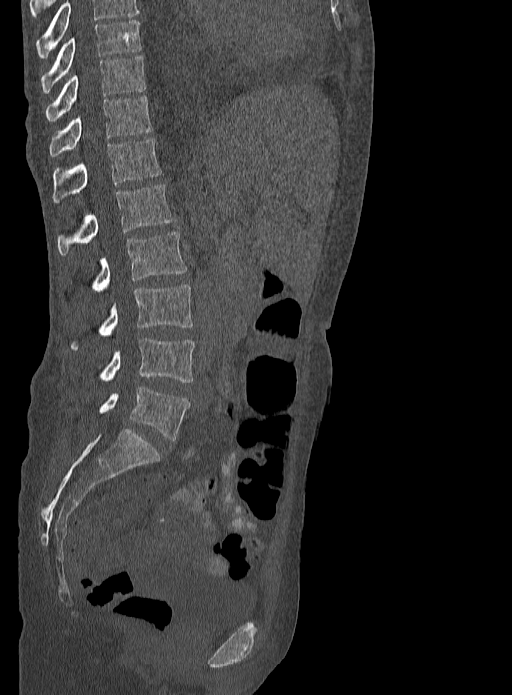
CT spine. the image spans 333 mm across. sagittal reformat. 512x695 px
Box edges are left/top/right/bottom in pixels.
This scan's labels start at T9 at the top and end at L5 at the bottom.
Vertebra bounding boxes:
- T9: left=41, top=20, right=142, bottom=93
- T10: left=46, top=55, right=145, bottom=122
- T11: left=49, top=95, right=152, bottom=156
- T12: left=54, top=138, right=160, bottom=205
- L1: left=57, top=185, right=174, bottom=256
- L2: left=89, top=232, right=186, bottom=291
- L3: left=69, top=284, right=192, bottom=350
- L4: left=98, top=338, right=194, bottom=382
- L5: left=98, top=386, right=189, bottom=440